Spine CT — sagittal plane, index 224 — W/L 1800/400 HU — 388 mm wide — 8 vertebrae labeled in this scan
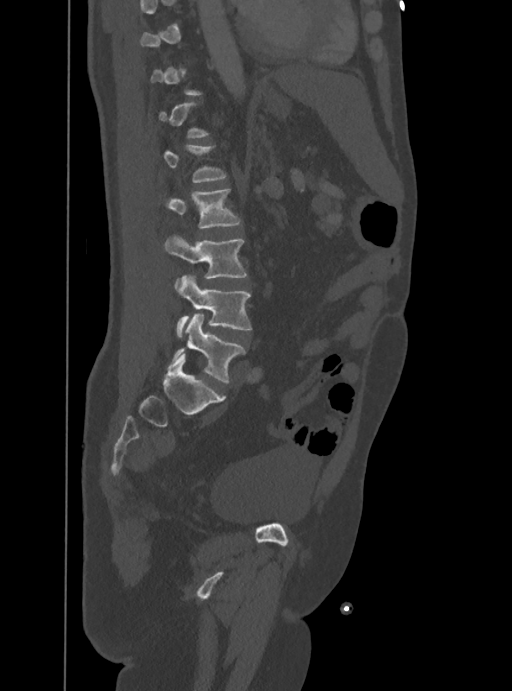

A vertebra is boxed only from the first to the last slice where its cross-section is at least a third of its largest; slices outside that range leave it without a box.
<vertebrae><v name="L5" x1="171" y1="314" x2="246" y2="383"/><v name="L4" x1="177" y1="274" x2="252" y2="336"/><v name="L3" x1="165" y1="234" x2="247" y2="289"/><v name="L2" x1="158" y1="189" x2="240" y2="228"/><v name="L1" x1="162" y1="145" x2="227" y2="182"/></vertebrae>